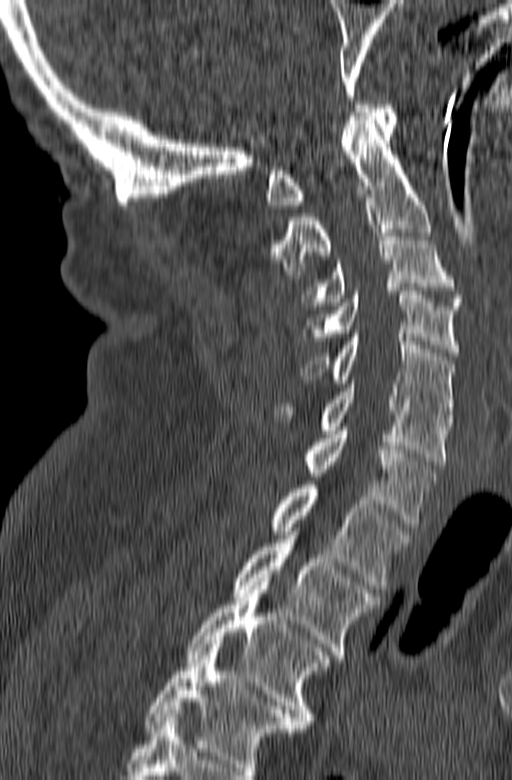

CT, spine — sagittal view — bone-window reconstruction

Box edges are left/top/right/bottom in pixels.
In this scan, the topmost labeled vertebra is C1 and the lowest is T3.
C1: left=266, top=101, right=397, bottom=208
C2: left=271, top=116, right=431, bottom=278
C3: left=302, top=229, right=462, bottom=305
C4: left=303, top=291, right=460, bottom=356
C5: left=301, top=334, right=453, bottom=418
C6: left=267, top=380, right=452, bottom=464
C7: left=305, top=427, right=435, bottom=527
T1: left=270, top=481, right=410, bottom=589
T2: left=234, top=531, right=379, bottom=658
T3: left=186, top=582, right=330, bottom=728